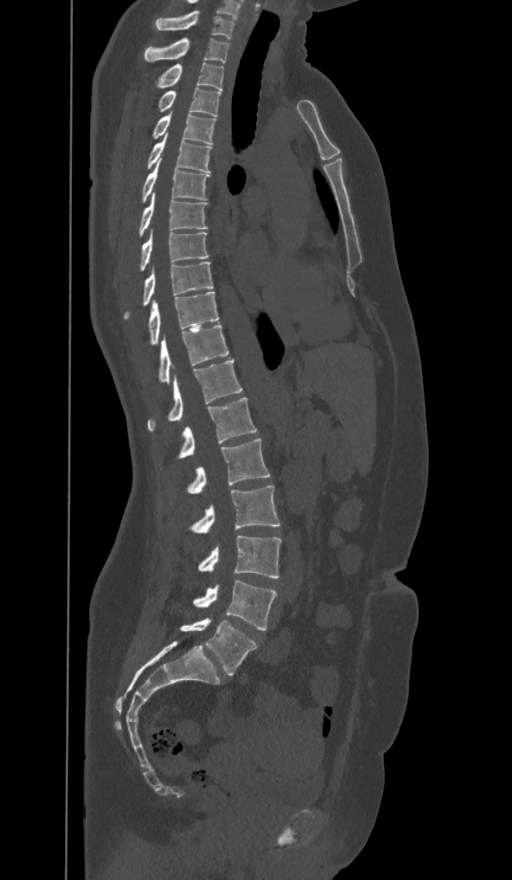 Spine CT — sagittal view — W/L 1800/400 HU
Each box given as x1,y1,x2,y2.
The labels name a sixth lumbar vertebra for this spine: L6, after L5.
Vertebra bounding boxes:
- C7: x1=155, y1=11, x2=234, y2=38
- T1: x1=144, y1=38, x2=229, y2=63
- T2: x1=155, y1=63, x2=223, y2=90
- T3: x1=157, y1=87, x2=221, y2=116
- T4: x1=152, y1=113, x2=215, y2=143
- T5: x1=145, y1=136, x2=211, y2=171
- T6: x1=142, y1=158, x2=208, y2=202
- T7: x1=138, y1=192, x2=207, y2=237
- T8: x1=139, y1=233, x2=208, y2=271
- T9: x1=123, y1=262, x2=212, y2=319
- T10: x1=148, y1=291, x2=218, y2=345
- T11: x1=159, y1=324, x2=229, y2=382
- T12: x1=148, y1=360, x2=242, y2=431
- L1: x1=178, y1=398, x2=256, y2=459
- L2: x1=186, y1=439, x2=270, y2=493
- L3: x1=189, y1=485, x2=279, y2=532
- L4: x1=198, y1=536, x2=281, y2=578
- L5: x1=193, y1=580, x2=277, y2=630
- L6: x1=181, y1=619, x2=256, y2=675